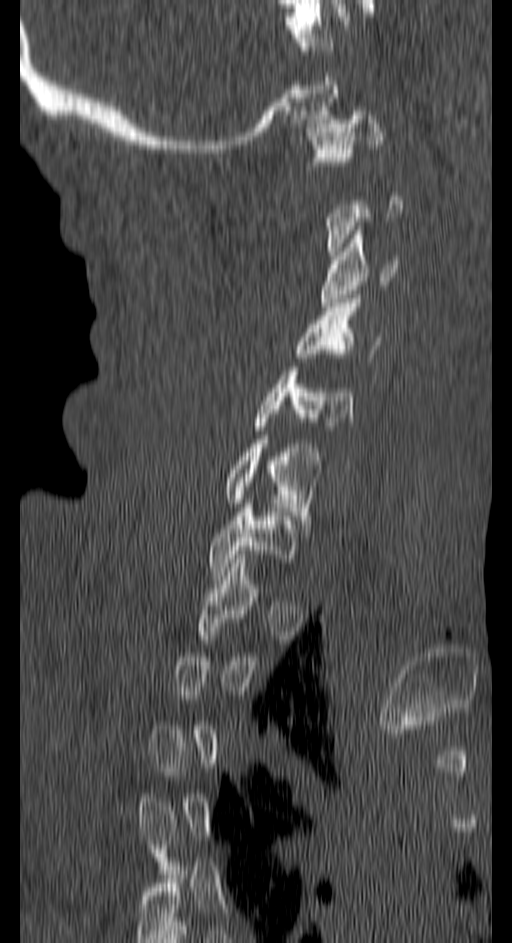
Computed tomography of the spine; sagittal view; W/L 1800/400 HU; 512x943 px
Boxes are (x1, y1, x2, y2) in pixels.
Not every vertebra on this slice has a box: a vertebra is boxed only from the first to the last slice where its cross-section is at least a third of its largest, and this slice is outside that range for at least one of them.
Vertebra bounding boxes:
- C1: (307, 111, 383, 182)
- C3: (321, 230, 396, 306)
- C4: (295, 299, 376, 366)
- C5: (254, 371, 352, 430)
- C6: (223, 439, 321, 524)
- C7: (209, 503, 297, 575)